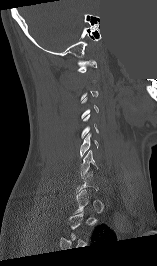
CT; sagittal view; Bone window (WL 400, WW 1800); a region is masked with a constant gray value
Boxes: x1:y1:x2:y2 in pixels. A vertebra gets a box only on the slices from the first to the last where its cross-section is at least a third of its largest; on a slice outside that range it gets none. Vertebrae labeled: C6 at 80:150:98:177, C5 at 80:133:98:157, C1 at 77:60:96:72.